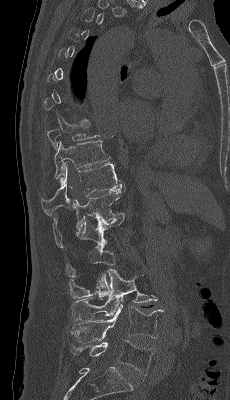
CT — sagittal view — bone window — the image spans 230 mm across
Box edges are left/top/right/bottom in pixels.
A vertebra is boxed only from the first to the last slice where its cross-section is at least a third of its largest; slices outside that range leave it without a box.
Vertebra bounding boxes:
- T10: left=54, top=140, right=109, bottom=178
- T11: left=41, top=163, right=124, bottom=216
- T12: left=52, top=185, right=126, bottom=247
- L1: left=66, top=214, right=125, bottom=277
- L2: left=69, top=244, right=115, bottom=299
- L3: left=71, top=269, right=157, bottom=320
- L4: left=71, top=300, right=163, bottom=342
- L5: left=71, top=340, right=156, bottom=375